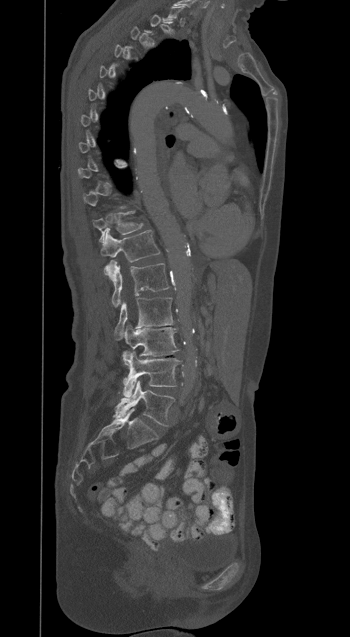 Spine CT — 350 mm wide — sagittal view. Box edges are left/top/right/bottom in pixels.
Not every vertebra on this slice has a box: a vertebra is boxed only from the first to the last slice where its cross-section is at least a third of its largest, and this slice is outside that range for at least one of them.
L5: left=113, top=381, right=174, bottom=426
L4: left=122, top=352, right=180, bottom=397
L3: left=123, top=324, right=178, bottom=360
L2: left=114, top=297, right=173, bottom=339
L1: left=108, top=261, right=169, bottom=307
T12: left=100, top=230, right=160, bottom=278
T11: left=93, top=212, right=142, bottom=242